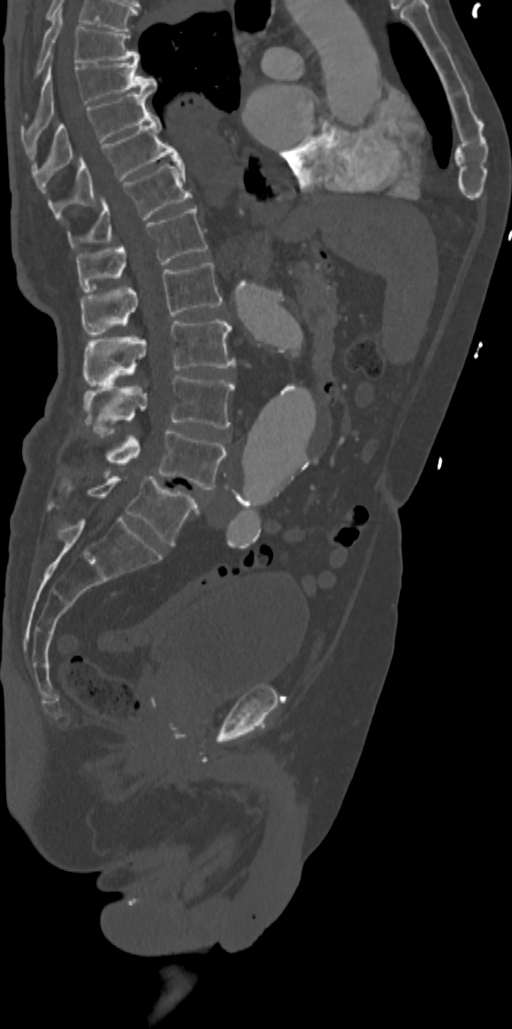

CT, spine. sagittal view. 342 mm image width. bone window
Box edges are left/top/right/bottom in pixels.
T7: left=34, top=11, right=140, bottom=75
T8: left=21, top=61, right=156, bottom=138
T9: left=31, top=90, right=153, bottom=174
T10: left=48, top=112, right=181, bottom=217
T11: left=69, top=162, right=192, bottom=246
T12: left=76, top=207, right=207, bottom=291
L1: left=81, top=263, right=222, bottom=336
L2: left=84, top=319, right=235, bottom=383
L3: left=84, top=375, right=234, bottom=430
L4: left=106, top=429, right=226, bottom=489
L5: left=88, top=476, right=198, bottom=545